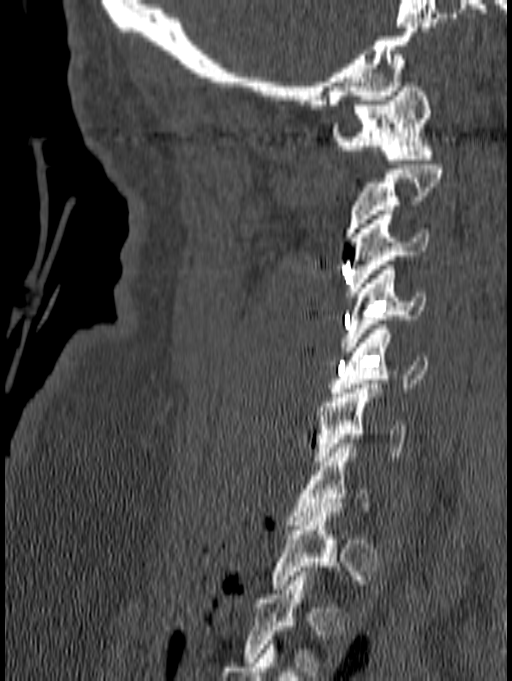
Spine computed tomography · sagittal view · 512x681 px · image width 140 mm
A vertebra gets a box only on the slices from the first to the last where its cross-section is at least a third of its largest; on a slice outside that range it gets none.
<vertebrae><v name="C1" x1="331" y1="82" x2="434" y2="164"/><v name="C3" x1="346" y1="210" x2="428" y2="296"/><v name="C4" x1="341" y1="265" x2="425" y2="351"/><v name="C5" x1="330" y1="325" x2="428" y2="397"/><v name="C6" x1="315" y1="384" x2="406" y2="465"/><v name="C7" x1="287" y1="443" x2="371" y2="525"/></vertebrae>